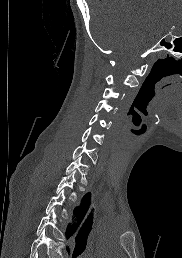
CT spine · sagittal view
Box edges are left/top/right/bottom in pixels.
No box is given to a vertebra that the bottom edge of the scan cuts off.
Vertebra bounding boxes:
- C1: left=109, top=60, right=147, bottom=75
- C2: left=105, top=74, right=138, bottom=87
- C3: left=102, top=87, right=124, bottom=98
- C4: left=94, top=99, right=117, bottom=113
- C5: left=89, top=113, right=111, bottom=128
- C6: left=81, top=127, right=104, bottom=144
- C7: left=72, top=141, right=97, bottom=164
- T1: left=65, top=156, right=88, bottom=184
- T2: left=56, top=170, right=76, bottom=200
- T3: left=45, top=189, right=67, bottom=217
- T4: left=36, top=207, right=65, bottom=240